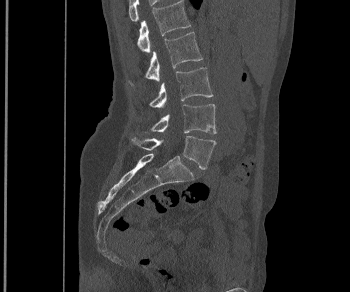
CT, spine — the image spans 350 mm across — sagittal view — Bone window (WL 400, WW 1800) — 350x292 px. Each box given as x1,y1,x2,y2.
L1: x1=137, y1=0, x2=190, y2=52
L2: x1=127, y1=32, x2=202, y2=86
L3: x1=148, y1=67, x2=213, y2=107
L4: x1=150, y1=104, x2=216, y2=133
L5: x1=132, y1=136, x2=216, y2=169